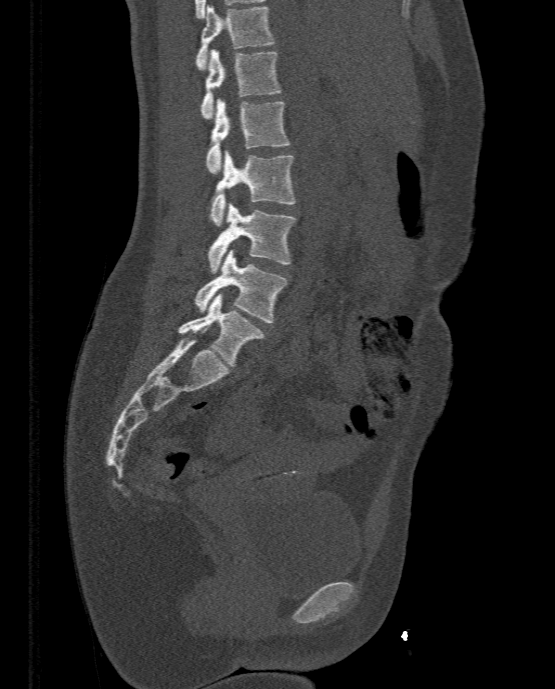 CT, spine; sagittal view; Bone window (WL 400, WW 1800); 333 mm wide; 555x689 px. Box edges are left/top/right/bottom in pixels.
| vertebra | x1 | y1 | x2 | y2 |
|---|---|---|---|---|
| L5 | 178 | 293 | 263 | 367 |
| L4 | 194 | 250 | 287 | 322 |
| L3 | 208 | 202 | 295 | 273 |
| L2 | 209 | 150 | 295 | 226 |
| L1 | 206 | 98 | 291 | 173 |
| T12 | 201 | 49 | 281 | 119 |
| T11 | 195 | 5 | 273 | 70 |